CT. sagittal plane, index 36. W/L 1800/400 HU. 191x489 px
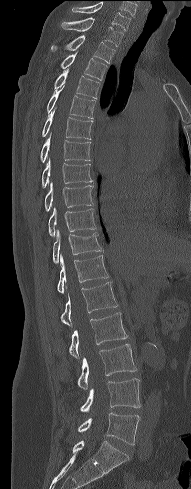 <vertebrae><v name="C7" x1="72" y1="3" x2="130" y2="31"/><v name="T1" x1="60" y1="17" x2="123" y2="46"/><v name="T2" x1="51" y1="35" x2="115" y2="63"/><v name="T3" x1="60" y1="54" x2="107" y2="80"/><v name="T4" x1="54" y1="70" x2="100" y2="98"/><v name="T5" x1="47" y1="85" x2="95" y2="118"/><v name="T6" x1="42" y1="110" x2="93" y2="139"/><v name="T7" x1="40" y1="132" x2="91" y2="162"/><v name="T8" x1="42" y1="159" x2="92" y2="187"/><v name="T9" x1="45" y1="183" x2="93" y2="211"/><v name="T10" x1="48" y1="208" x2="96" y2="236"/><v name="T11" x1="53" y1="230" x2="102" y2="264"/><v name="T12" x1="57" y1="254" x2="108" y2="293"/><v name="L1" x1="61" y1="282" x2="117" y2="325"/><v name="L2" x1="69" y1="312" x2="127" y2="358"/><v name="L3" x1="78" y1="344" x2="137" y2="389"/><v name="L4" x1="80" y1="378" x2="141" y2="412"/><v name="L5" x1="77" y1="412" x2="139" y2="445"/></vertebrae>